CT, spine — Sagittal slice 327/512
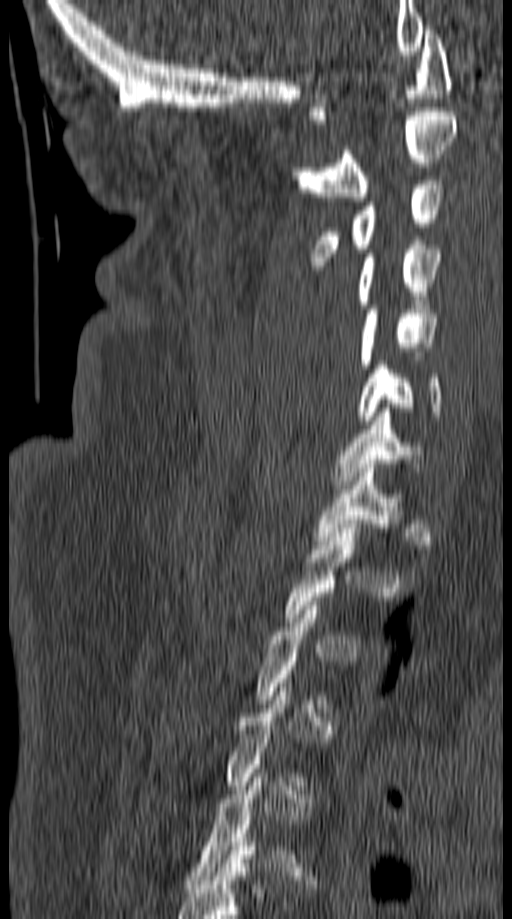
Boxes: x1:y1:x2:y2 in pixels.
A vertebra is boxed only from the first to the last slice where its cross-section is at least a third of its largest; slices outside that range leave it without a box.
C1: 309:26:453:124
C2: 293:107:457:201
C3: 310:176:443:270
C4: 357:245:443:308
C5: 359:305:440:364
C6: 357:361:442:424
C7: 333:408:423:489
T1: 314:464:405:545